Computed tomography of the spine · sagittal reformat · Bone window (WL 400, WW 1800) · the image spans 216 mm across · 216x216 px
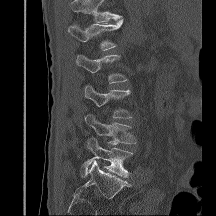
Vertebrae that run past the top of the scan are left unlabeled.
<vertebrae><v name="L1" x1="68" y1="19" x2="123" y2="50"/><v name="L2" x1="75" y1="54" x2="128" y2="83"/><v name="L3" x1="83" y1="85" x2="132" y2="118"/><v name="L4" x1="85" y1="113" x2="136" y2="144"/><v name="L5" x1="82" y1="137" x2="132" y2="177"/></vertebrae>